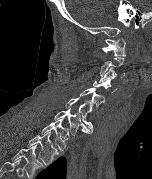 CT, spine · sagittal view · bone-window reconstruction · 152x179 px
Boxes are given in columns x1, y1, x2, y2, the pixel coordinates of their top-left and bottom-right corners.
Not every vertebra on this slice has a box: a vertebra is boxed only from the first to the last slice where its cross-section is at least a third of its largest, and this slice is outside that range for at least one of them.
Labels in this scan begin with C1 at the top and end with T2 at the bottom.
| vertebra | x1 | y1 | x2 | y2 |
|---|---|---|---|---|
| C1 | 102 | 37 | 126 | 56 |
| C3 | 99 | 67 | 124 | 83 |
| C4 | 93 | 78 | 117 | 93 |
| C5 | 80 | 87 | 104 | 112 |
| C6 | 65 | 97 | 93 | 133 |
| C7 | 54 | 108 | 90 | 135 |
| T1 | 41 | 118 | 70 | 150 |
| T2 | 27 | 132 | 58 | 165 |